Spine CT · sagittal view · an area of the scan was removed and filled with constant pixels
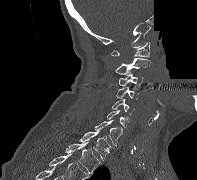

Each box given as x1,y1,x2,y2. 9 vertebrae labeled — C1 at x1=111, y1=42, x2=149, y2=57; C2 at x1=115, y1=58, x2=150, y2=75; C3 at x1=119, y1=73, x2=143, y2=86; C4 at x1=116, y1=87, x2=138, y2=99; C5 at x1=112, y1=99, x2=134, y2=114; C6 at x1=107, y1=110, x2=130, y2=128; C7 at x1=94, y1=120, x2=122, y2=146; T1 at x1=79, y1=129, x2=110, y2=160; T2 at x1=65, y1=142, x2=101, y2=173.